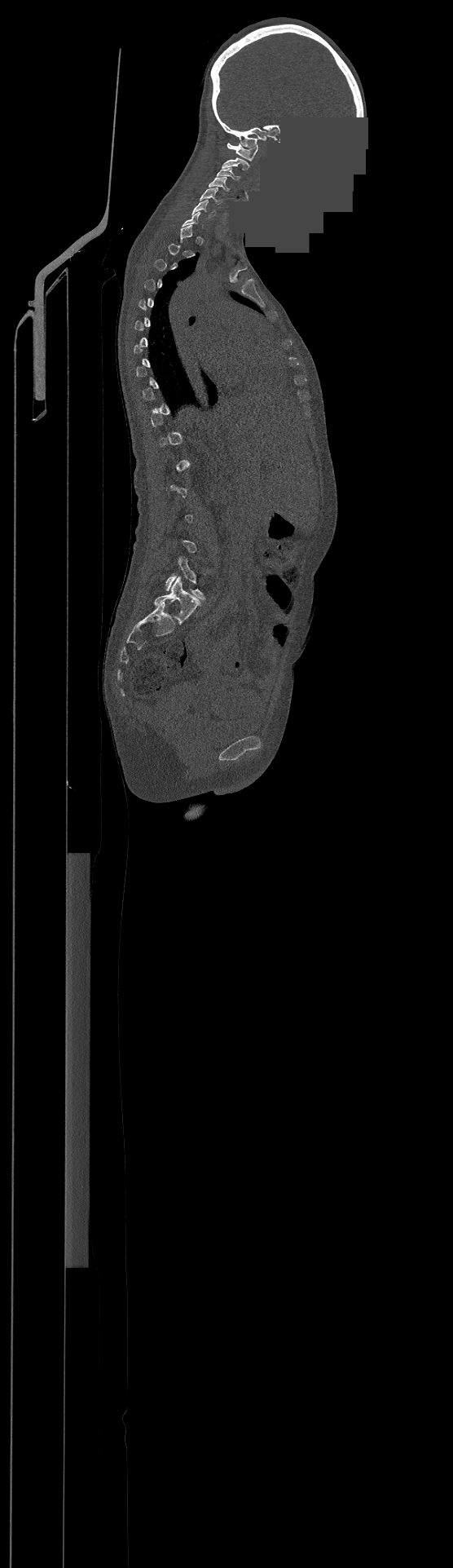 CT; 500 mm across the image; sagittal view; 453x1568 px; part of the image is a flat gray fill, not anatomy. Box edges are left/top/right/bottom in pixels. A vertebra gets a box only on the slices from the first to the last where its cross-section is at least a third of its largest; on a slice outside that range it gets none. This scan's labels start at C1 at the top and end at L4 at the bottom. 7 vertebrae labeled — C1 at left=227, top=143, right=258, bottom=161; C2 at left=222, top=157, right=249, bottom=170; C3 at left=217, top=168, right=239, bottom=179; C4 at left=209, top=177, right=229, bottom=190; C5 at left=200, top=188, right=221, bottom=204; C6 at left=191, top=200, right=215, bottom=217; L4 at left=165, top=557, right=208, bottom=599.